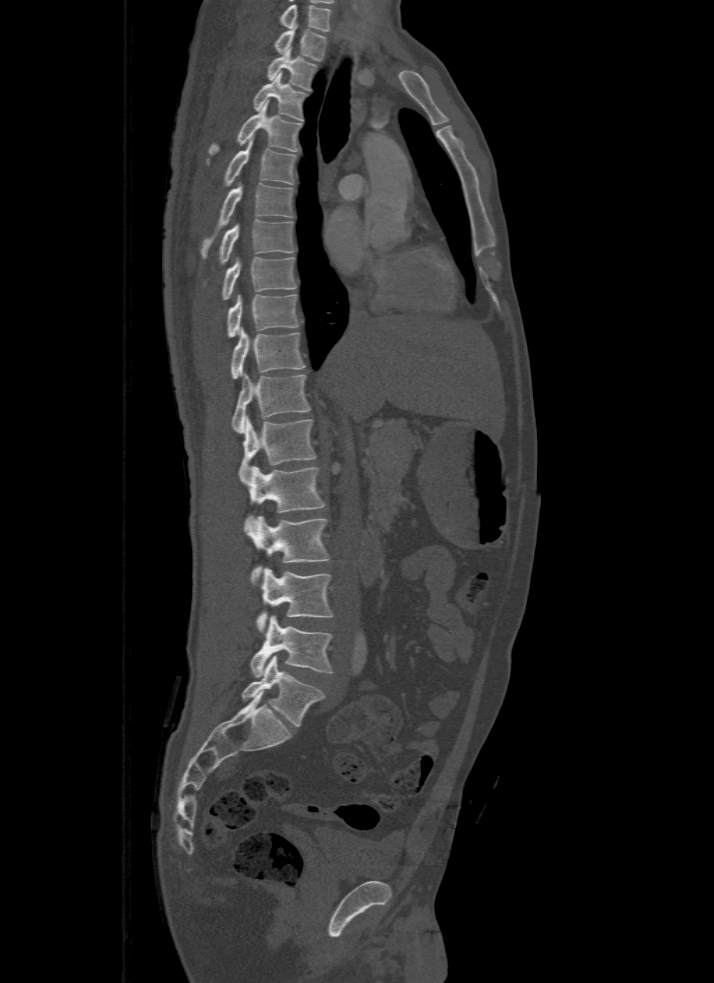 CT spine; image width 500 mm; sagittal view. Bounding boxes as [x1, y1, x2, y2] in pixel coordinates.
This scan's labels start at T1 at the top and end at L5 at the bottom.
Vertebra bounding boxes:
- T1: [275, 29, 325, 61]
- T2: [266, 48, 316, 89]
- T3: [253, 73, 307, 121]
- T4: [208, 102, 302, 155]
- T5: [225, 142, 296, 185]
- T6: [201, 183, 293, 259]
- T7: [219, 219, 295, 264]
- T8: [222, 257, 296, 299]
- T9: [227, 295, 299, 338]
- T10: [230, 328, 305, 379]
- T11: [232, 373, 310, 433]
- T12: [239, 416, 316, 482]
- L1: [244, 466, 324, 525]
- L2: [246, 516, 331, 582]
- L3: [255, 568, 334, 632]
- L4: [250, 616, 334, 677]
- L5: [241, 655, 324, 727]